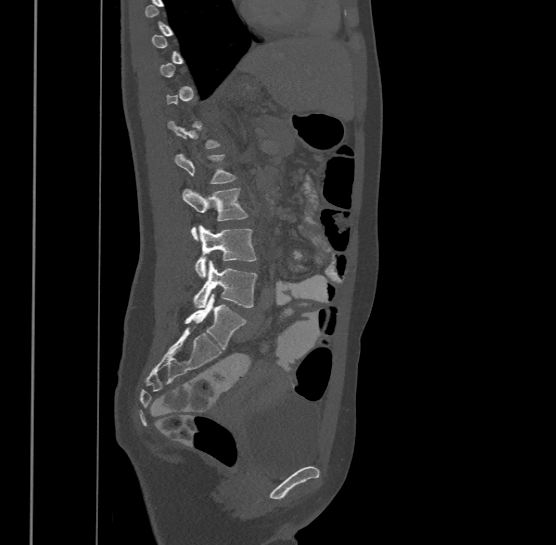 CT, spine · sagittal view

Box values are [left, top, right, bottom] in pixels.
A vertebra gets a box only on the slices from the first to the last where its cross-section is at least a third of its largest; on a slice outside that range it gets none.
In this scan, the topmost labeled vertebra is T9 and the lowest is L4.
{"vertebrae":{"L1":[175,153,237,183],"L2":[182,187,247,239],"L3":[194,225,257,277],"L4":[193,260,257,307]}}